CT spine. sagittal plane, index 289. scan covers 8 annotated vertebrae
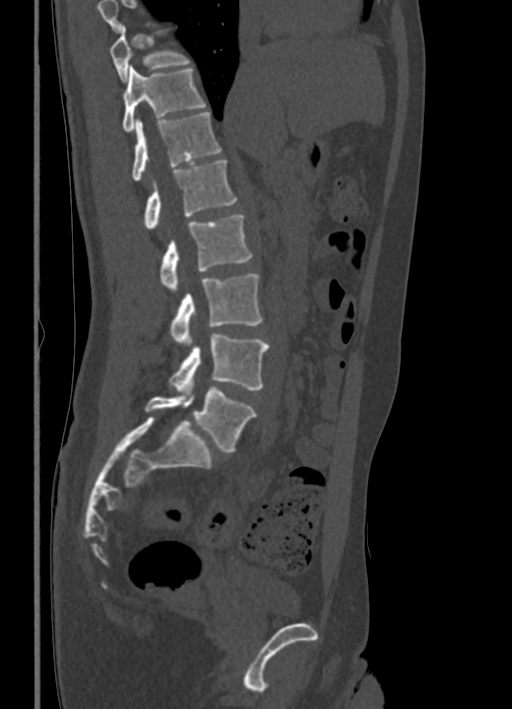

Boxes are (x1, y1, x2, y2) in pixels. A vertebra cut off by the top edge of the scan is not labeled and has no box. 8 vertebrae labeled — T10 at (109, 24, 189, 81); T11 at (123, 66, 206, 132); T12 at (132, 111, 221, 181); L1 at (145, 160, 237, 230); L2 at (160, 215, 252, 290); L3 at (170, 274, 262, 343); L4 at (169, 334, 269, 392); L5 at (145, 387, 256, 451).